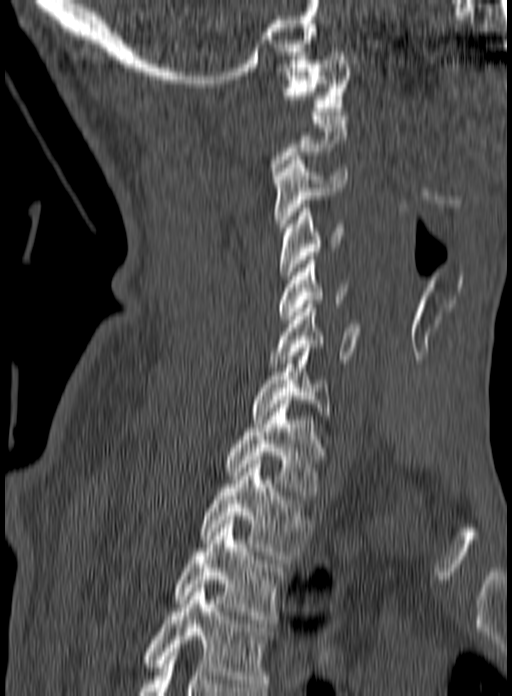
CT, spine · sagittal view · 512x696 px
A vertebra gets a box only on the slices from the first to the last where its cross-section is at least a third of its largest; on a slice outside that range it gets none.
Labels in this scan begin with C1 at the top and end with T3 at the bottom.
<vertebrae><v name="C1" x1="284" y1="56" x2="351" y2="111"/><v name="C3" x1="274" y1="156" x2="346" y2="231"/><v name="C4" x1="280" y1="204" x2="345" y2="279"/><v name="C5" x1="278" y1="256" x2="348" y2="319"/><v name="C6" x1="269" y1="300" x2="361" y2="367"/><v name="C7" x1="251" y1="344" x2="333" y2="419"/><v name="T1" x1="225" y1="400" x2="325" y2="495"/><v name="T2" x1="200" y1="464" x2="311" y2="559"/><v name="T3" x1="174" y1="516" x2="285" y2="623"/></vertebrae>